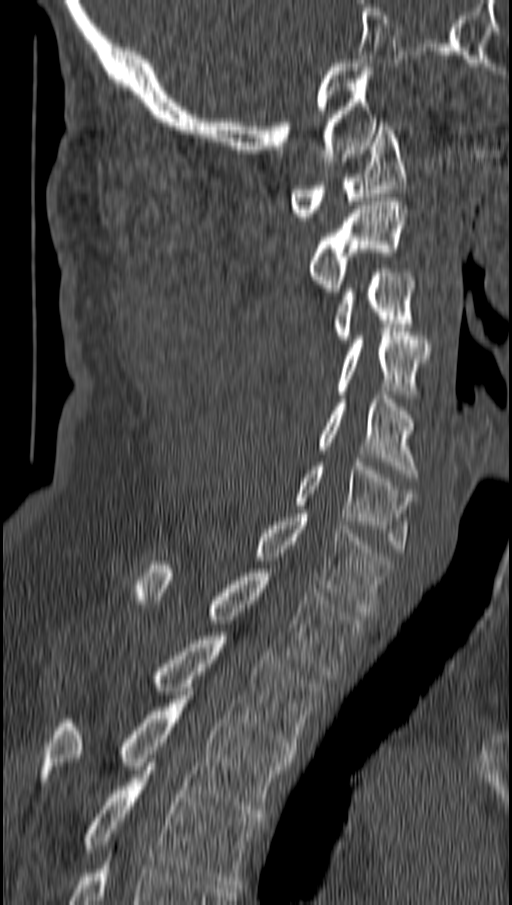

Computed tomography of the spine; sagittal reformat; W/L 1800/400 HU; 512x905 px

Box edges are left/top/right/bottom in pixels.
C1: left=291, top=122, right=405, bottom=220
C2: left=308, top=201, right=408, bottom=295
C3: left=333, top=269, right=414, bottom=343
C4: left=336, top=328, right=429, bottom=394
C5: left=317, top=395, right=417, bottom=477
C6: left=295, top=458, right=414, bottom=552
C7: left=254, top=514, right=389, bottom=615
T1: left=136, top=561, right=360, bottom=675
T2: left=153, top=636, right=322, bottom=754
T3: left=42, top=691, right=291, bottom=817
T4: left=83, top=762, right=259, bottom=888